Spine CT; sagittal reformat; bone-window reconstruction; the image spans 210 mm across; 5 vertebrae labeled in this scan
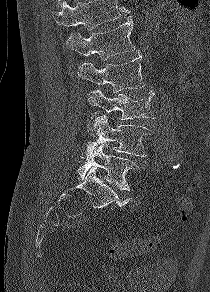
A vertebra cut off by the top edge of the scan is not labeled and has no box.
<vertebrae><v name="L1" x1="66" y1="16" x2="135" y2="60"/><v name="L2" x1="78" y1="52" x2="146" y2="92"/><v name="L3" x1="87" y1="89" x2="154" y2="120"/><v name="L4" x1="84" y1="115" x2="153" y2="162"/><v name="L5" x1="76" y1="144" x2="138" y2="190"/></vertebrae>